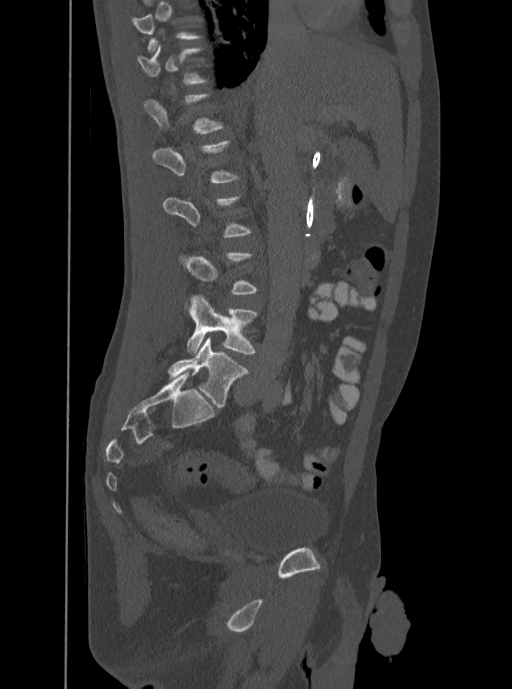

CT spine · sagittal view · W/L 1800/400 HU · 512x689 px
Box edges are left/top/right/bottom in pixels.
A vertebra is boxed only from the first to the last slice where its cross-section is at least a third of its largest; slices outside that range leave it without a box.
| vertebra | x1 | y1 | x2 | y2 |
|---|---|---|---|---|
| L1 | 143 | 93 | 224 | 133 |
| L2 | 152 | 140 | 239 | 183 |
| L5 | 186 | 295 | 258 | 354 |